Spine computed tomography · sagittal reformat · 7 vertebrae labeled in this scan
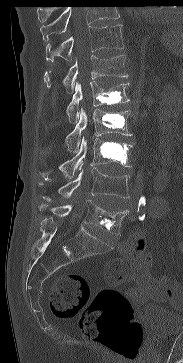

Box values are [left, top, right, bottom] in pixels.
Where the top of the scan cuts through a vertebra, that vertebra gets no label or box.
{"vertebrae":{"T11":[46,24,124,61],"T12":[43,55,128,93],"L1":[66,81,129,123],"L2":[65,108,132,152],"L3":[41,136,132,181],"L4":[39,163,129,201],"L5":[39,200,129,235]}}